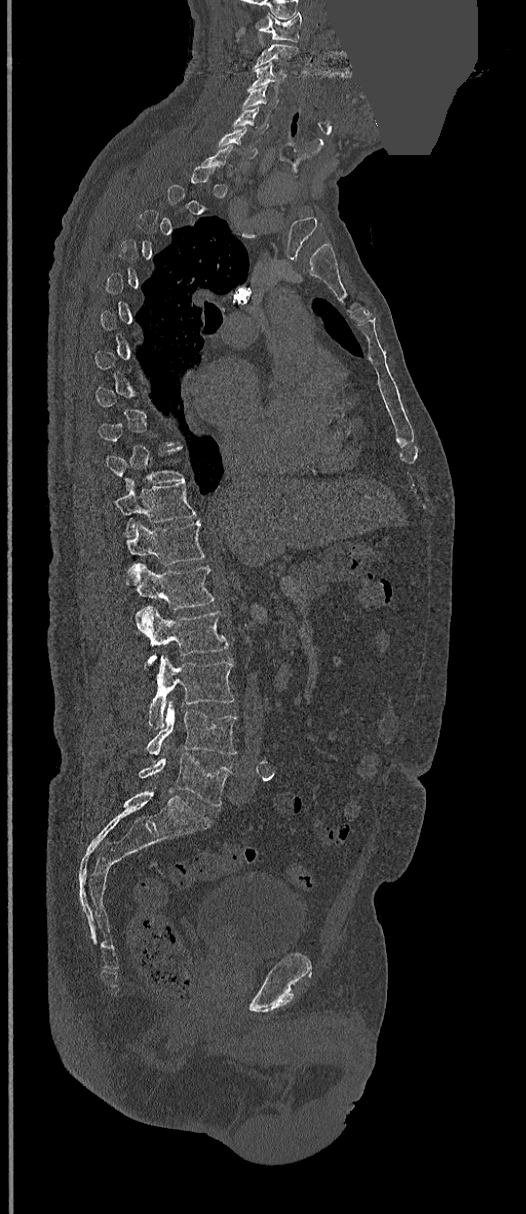
Computed tomography of the spine — sagittal reformat — Bone window (WL 400, WW 1800) — an area of the scan was removed and filled with constant pixels. Each box given as x1,y1,x2,y2.
Each vertebra is boxed only on the slices from the first to the last where its cross-section reaches a third of its largest, so a slice outside that range leaves it unboxed.
C1: x1=257, y1=13, x2=302, y2=40
C3: x1=248, y1=61, x2=288, y2=88
C4: x1=242, y1=87, x2=277, y2=110
C5: x1=233, y1=107, x2=269, y2=132
C6: x1=216, y1=127, x2=256, y2=158
T11: x1=114, y1=481, x2=196, y2=535
T12: x1=125, y1=520, x2=204, y2=579
L1: x1=127, y1=564, x2=213, y2=610
L2: x1=135, y1=606, x2=227, y2=660
L3: x1=148, y1=656, x2=234, y2=729
L4: x1=147, y1=700, x2=236, y2=756
L5: x1=139, y1=753, x2=232, y2=806